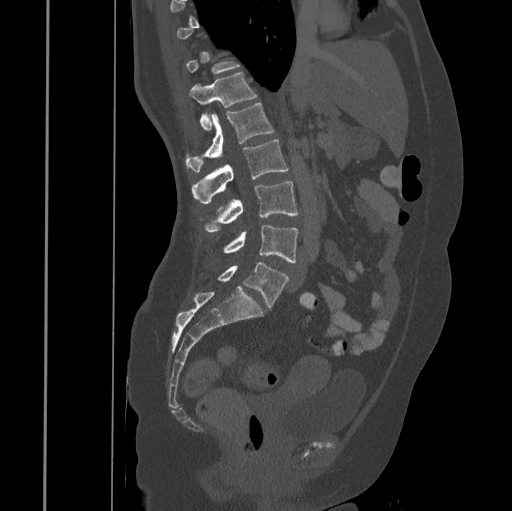 Spine CT — sagittal view — 445 mm across the image — W/L 1800/400 HU — 512x511 px
Box edges are left/top/right/bottom in pixels.
A vertebra is boxed only from the first to the last slice where its cross-section is at least a third of its largest; slices outside that range leave it without a box.
Vertebra bounding boxes:
- T12: left=189, top=72, right=257, bottom=129
- L1: left=185, top=104, right=274, bottom=171
- L2: left=192, top=139, right=288, bottom=204
- L3: left=205, top=181, right=298, bottom=232
- L4: left=223, top=226, right=298, bottom=262
- L5: left=217, top=262, right=289, bottom=308